CT spine. the image is 368 mm wide. sagittal plane, index 261. bone-window reconstruction
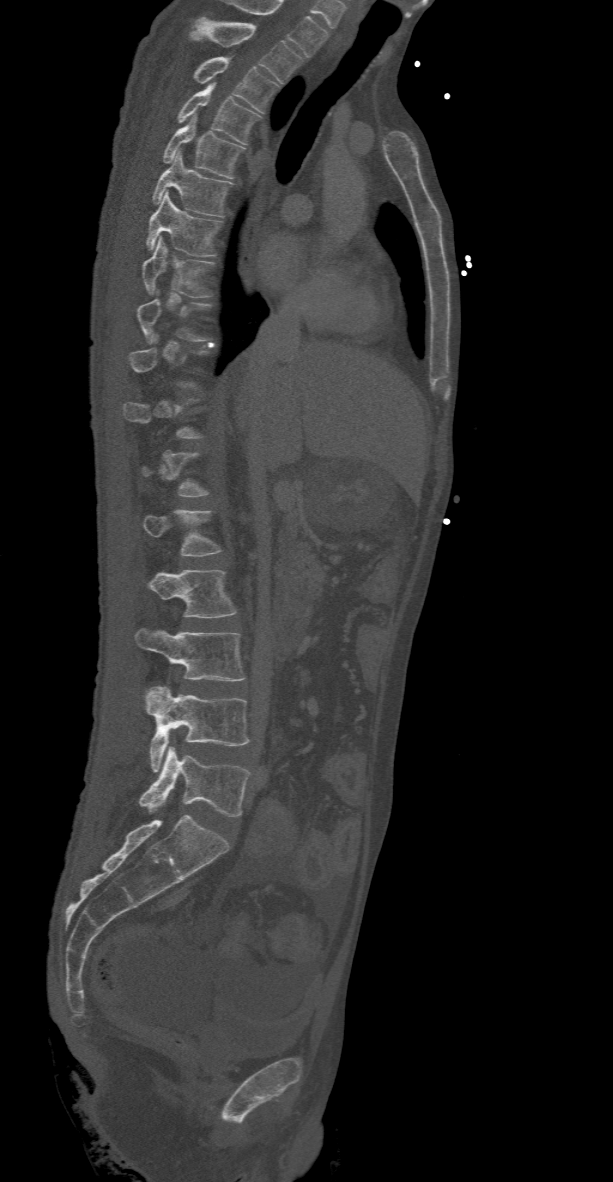 Coordinates as <box>x1,y1,x2,y2</box>.
Each vertebra is boxed only on the slices from the first to the last where its cross-section reaches a third of its largest, so a slice outside that range leaves it unboxed.
Vertebra bounding boxes:
- T2: <box>188,16,303,83</box>
- T3: <box>192,57,281,111</box>
- T4: <box>176,82,263,145</box>
- T5: <box>162,114,246,178</box>
- T6: <box>151,152,234,216</box>
- T7: <box>146,191,222,256</box>
- T8: <box>141,236,216,296</box>
- T9: <box>137,289,213,342</box>
- L1: <box>141,509,222,556</box>
- L2: <box>146,569,237,618</box>
- L3: <box>134,627,246,681</box>
- L4: <box>143,686,251,771</box>
- L5: <box>138,746,248,816</box>